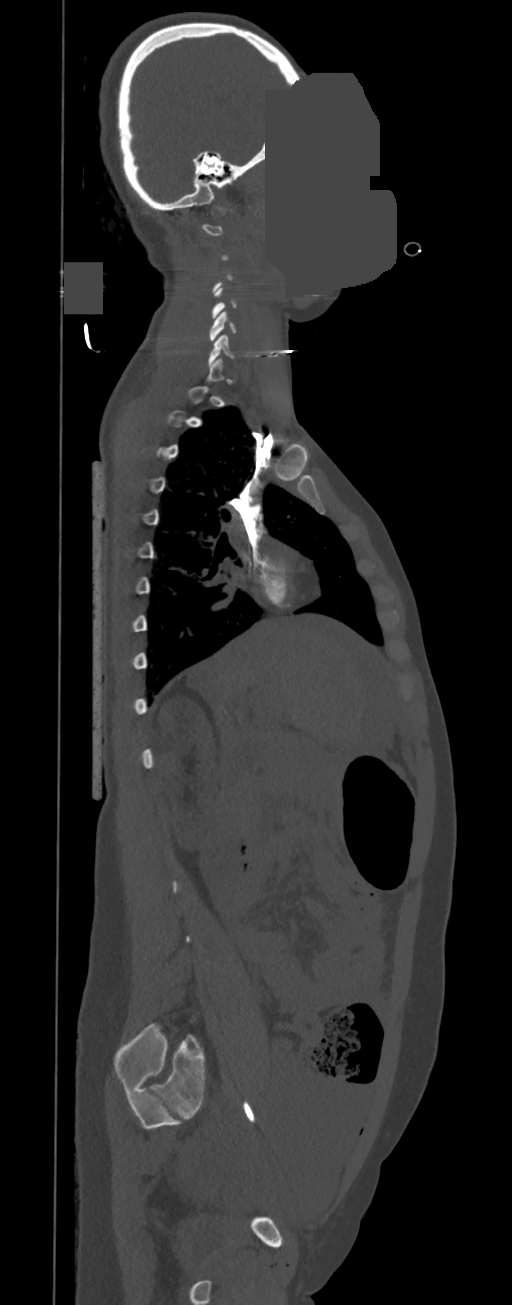
Spine CT — 350 mm wide — sagittal view — W/L 1800/400 HU — 512x1305 px — some of the image was removed or blocked out with constant pixels. Boxes are (x1, y1, x2, y2) in pixels. Not every vertebra on this slice has a box: a vertebra is boxed only from the first to the last slice where its cross-section is at least a third of its largest, and this slice is outside that range for at least one of them. The labeled vertebrae in this slice are: C5 at (209, 312, 236, 340), C6 at (208, 334, 234, 366).